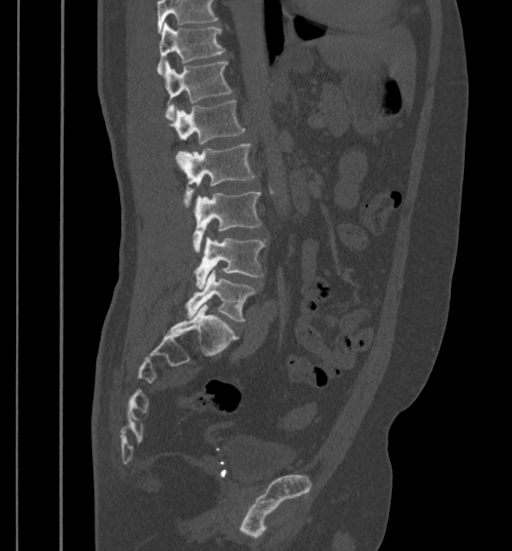
Computed tomography of the spine — sagittal view — 512x551 px — the image is 399 mm wide
Each box given as x1,y1,x2,y2. Where the top of the scan cuts through a vertebra, that vertebra gets no label or box. Vertebrae labeled: L5 at x1=185, y1=269, x2=255, y2=320, L4 at x1=194, y1=236, x2=266, y2=287, L3 at x1=192, y1=191, x2=261, y2=253, L2 at x1=176, y1=144, x2=254, y2=207, L1 at x1=172, y1=100, x2=245, y2=166, T12 at x1=164, y1=62, x2=232, y2=119, T11 at x1=156, y1=23, x2=226, y2=74.